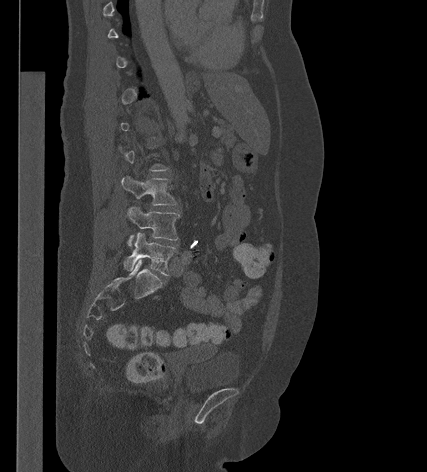
Computed tomography of the spine · the image is 427 mm wide · sagittal view
Each vertebra is boxed only on the slices from the first to the last where its cross-section reaches a third of its largest, so a slice outside that range leaves it unboxed.
<vertebrae><v name="L5" x1="124" y1="233" x2="176" y2="275"/><v name="L4" x1="126" y1="206" x2="180" y2="246"/><v name="L3" x1="121" y1="175" x2="177" y2="205"/></vertebrae>